Spine computed tomography · the image spans 350 mm across · sagittal view · Bone window (WL 400, WW 1800)
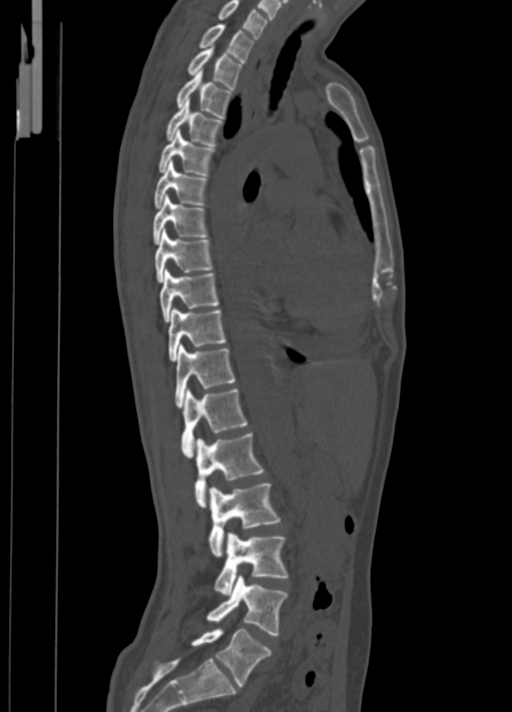
Columns x1, y1, x2, y2 give each box's top-left and bottom-right pixels.
| vertebra | x1 | y1 | x2 | y2 |
|---|---|---|---|---|
| C7 | 218 | 0 | 268 | 38 |
| T1 | 199 | 23 | 253 | 62 |
| T2 | 187 | 47 | 242 | 90 |
| T3 | 177 | 69 | 231 | 117 |
| T4 | 167 | 99 | 223 | 147 |
| T5 | 158 | 130 | 215 | 175 |
| T6 | 153 | 161 | 206 | 208 |
| T7 | 153 | 195 | 206 | 243 |
| T8 | 155 | 228 | 212 | 281 |
| T9 | 159 | 269 | 218 | 322 |
| T10 | 168 | 307 | 226 | 360 |
| T11 | 175 | 344 | 234 | 407 |
| T12 | 181 | 388 | 247 | 457 |
| L1 | 194 | 433 | 264 | 507 |
| L2 | 209 | 483 | 280 | 556 |
| L3 | 215 | 532 | 288 | 594 |
| L4 | 206 | 575 | 287 | 635 |
| L5 | 191 | 629 | 271 | 687 |